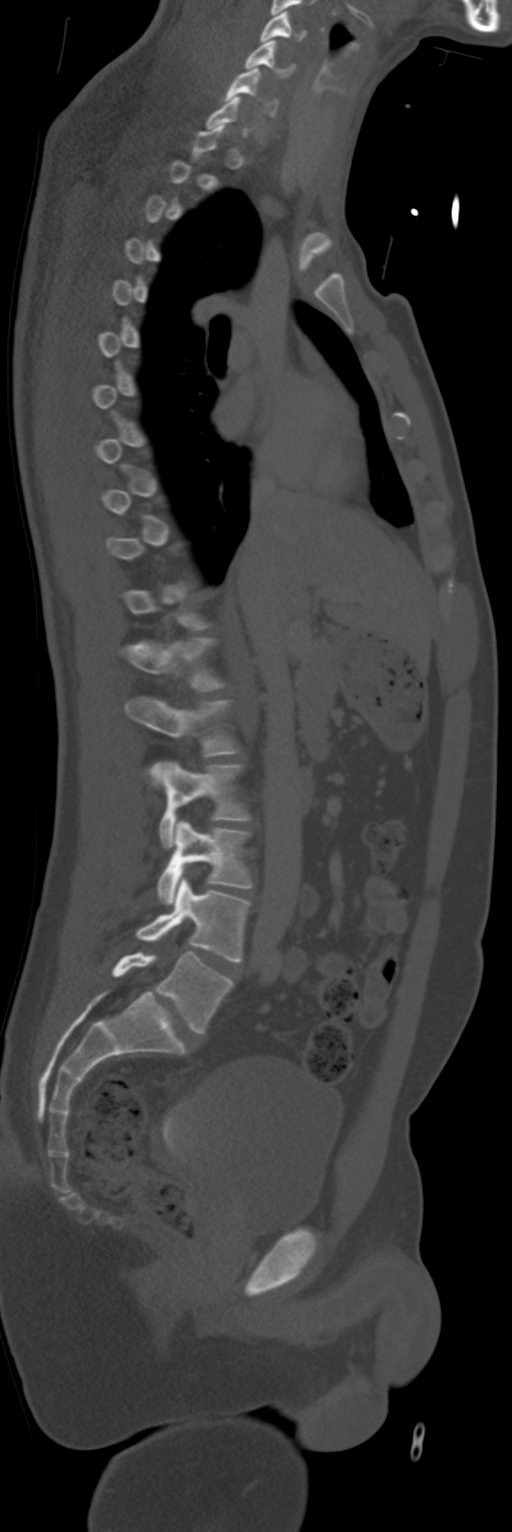

CT; sagittal view; 512x1532 px
Box edges are left/top/right/bottom in pixels. A vertebra is boxed only from the first to the last slice where its cross-section is at least a third of its largest; slices outside that range leave it without a box. Vertebrae labeled: C4 at left=260, top=11, right=305, bottom=41, C5 at left=245, top=40, right=294, bottom=76, C6 at left=225, top=67, right=277, bottom=116, T12 at left=121, top=638, right=223, bottom=691, L1 at left=125, top=696, right=238, bottom=785, L2 at left=159, top=761, right=250, bottom=848, L3 at left=157, top=820, right=252, bottom=903, L4 at left=136, top=878, right=250, bottom=962, L5 at left=111, top=952, right=233, bottom=1033.